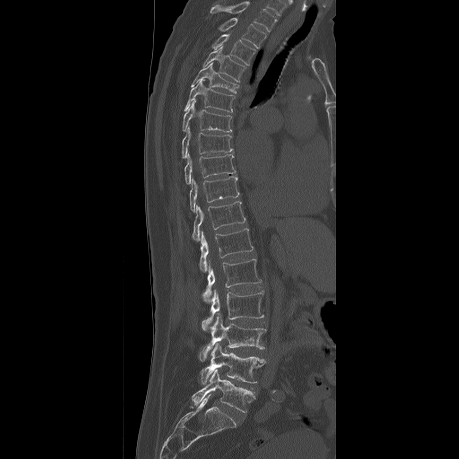
CT spine — sagittal view — bone window
The highest labeled vertebra in this scan is T2; the lowest is L5.
<vertebrae><v name="L5" x1="191" y1="369" x2="252" y2="412"/><v name="L4" x1="199" y1="343" x2="265" y2="384"/><v name="L3" x1="199" y1="317" x2="266" y2="361"/><v name="L2" x1="201" y1="291" x2="263" y2="331"/><v name="L1" x1="203" y1="259" x2="261" y2="303"/><v name="T12" x1="199" y1="228" x2="253" y2="271"/><v name="T11" x1="192" y1="201" x2="245" y2="240"/><v name="T10" x1="190" y1="176" x2="239" y2="211"/><v name="T9" x1="184" y1="154" x2="235" y2="184"/><v name="T8" x1="181" y1="127" x2="232" y2="157"/><v name="T7" x1="182" y1="98" x2="231" y2="131"/><v name="T6" x1="184" y1="79" x2="234" y2="111"/><v name="T5" x1="191" y1="62" x2="238" y2="93"/><v name="T4" x1="203" y1="46" x2="245" y2="82"/><v name="T3" x1="211" y1="34" x2="255" y2="65"/><v name="T2" x1="219" y1="18" x2="265" y2="47"/></vertebrae>